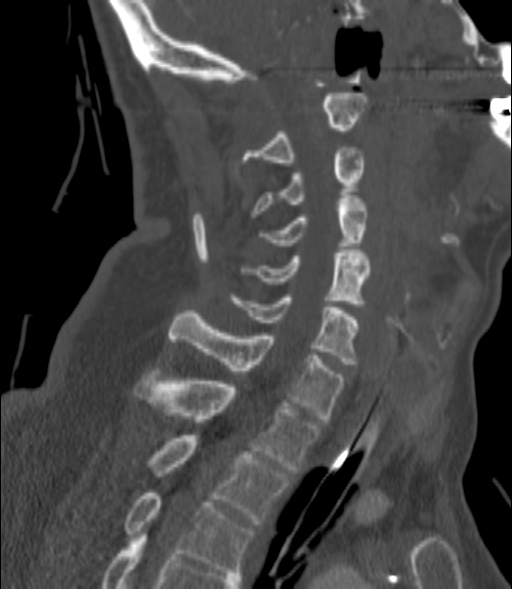
Computed tomography of the spine · sagittal reformat · W/L 1800/400 HU · 512x589 px
Box edges are left/top/right/bottom in pixels.
| vertebra | x1 | y1 | x2 | y2 |
|---|---|---|---|---|
| C2 | 244 | 93 | 366 | 162 |
| C3 | 251 | 147 | 363 | 217 |
| C4 | 259 | 198 | 368 | 249 |
| C5 | 254 | 250 | 370 | 306 |
| C6 | 234 | 294 | 358 | 364 |
| C7 | 170 | 310 | 345 | 421 |
| T1 | 134 | 378 | 320 | 473 |
| T2 | 152 | 435 | 289 | 524 |
| T3 | 126 | 493 | 253 | 575 |